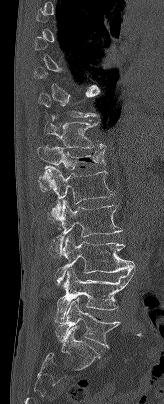 CT spine. sagittal reformat. image width 164 mm

Each vertebra maps to its box as [x1, y1, x2, y2], the pixel coordinates of its top-left and bottom-right corners.
Not every vertebra on this slice has a box: a vertebra is boxed only from the first to the last slice where its cross-section is at least a third of its largest, and this slice is outside that range for at least one of them.
{"vertebrae":{"T11":[44,122,106,148],"T12":[37,144,105,192],"L1":[42,166,114,223],"L2":[50,200,122,257],"L3":[56,235,135,283],"L4":[57,268,135,319],"L5":[55,298,120,347]}}